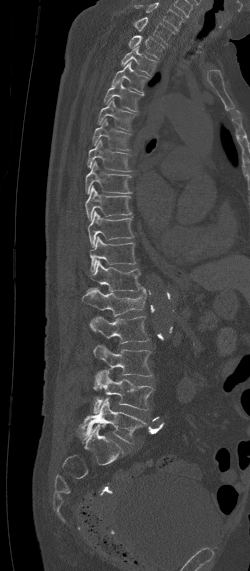

CT, spine — 250 mm wide — sagittal view
Bounding boxes as [x1, y1, x2, y2] in pixel coordinates. Labels in this scan begin with C7 at the top and end with L5 at the bottom. The labeled vertebrae in this slice are: C7 at [134, 17, 175, 44], T1 at [128, 35, 165, 59], T2 at [121, 45, 156, 76], T3 at [112, 60, 148, 94], T4 at [104, 79, 143, 111], T5 at [97, 98, 135, 131], T6 at [92, 119, 132, 151], T7 at [87, 139, 131, 171], T8 at [85, 161, 132, 193], T9 at [85, 186, 130, 220], T10 at [88, 210, 133, 247], T11 at [90, 236, 135, 272], T12 at [86, 260, 141, 292], L1 at [83, 286, 147, 316], L2 at [90, 316, 149, 343], L3 at [94, 345, 152, 376], L4 at [93, 370, 154, 413], L5 at [75, 397, 147, 442].